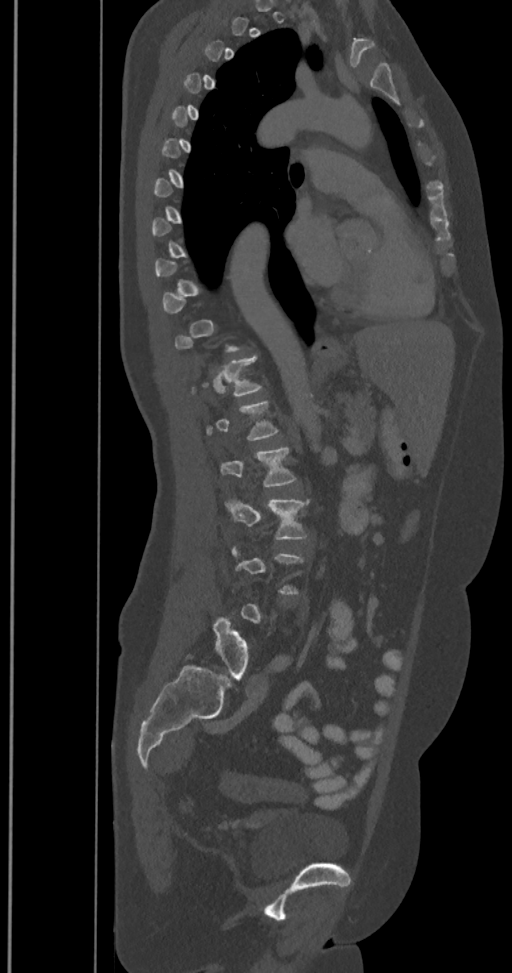

CT · sagittal reformat · Bone window (WL 400, WW 1800) · 512x973 px

Boxes are given in columns x1, y1, x2, y2, the pixel coordinates of their top-left and bottom-right corners.
Each vertebra is boxed only on the slices from the first to the last where its cross-section reaches a third of its largest, so a slice outside that range leaves it unboxed.
The labels name a sixth lumbar vertebra for this spine: L6, after L5.
| vertebra | x1 | y1 | x2 | y2 |
|---|---|---|---|---|
| L6 | 213 | 617 | 249 | 678 |
| L3 | 225 | 498 | 309 | 539 |
| L2 | 221 | 446 | 296 | 486 |
| L1 | 206 | 400 | 278 | 440 |
| T12 | 191 | 355 | 262 | 395 |